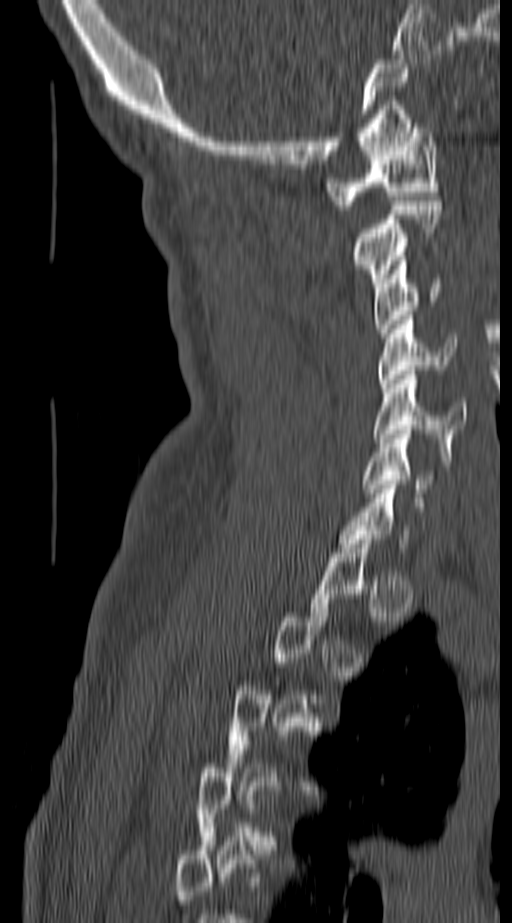

Spine CT · sagittal view · 512x923 px

Boxes: x1 y1 x2 y2 (pixel coords, space-separated).
Each vertebra is boxed only on the slices from the first to the last where its cross-section reaches a third of its largest, so a slice outside that range leaves it unboxed.
C1: 327 123 439 209
C2: 352 201 439 287
C3: 374 261 442 337
C4: 378 315 454 388
C5: 374 370 466 452
C6: 362 430 437 493